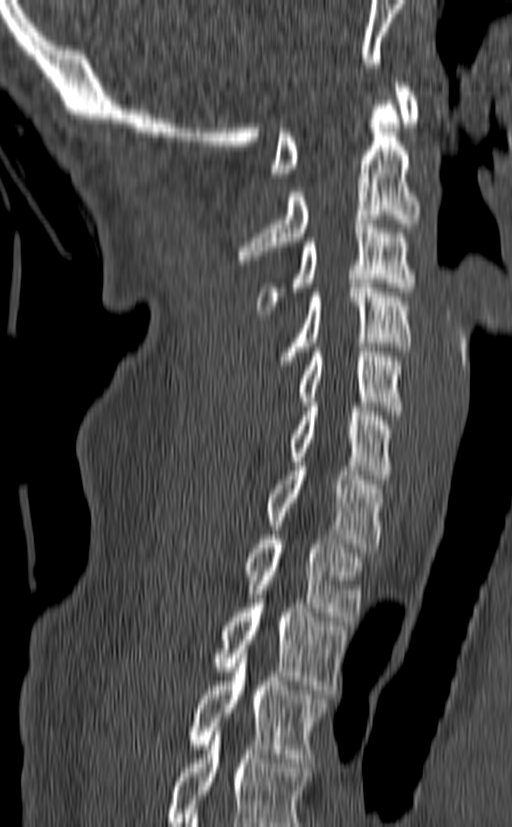

CT spine · sagittal view
Boxes: x1:y1:x2:y2 in pixels.
This scan's labels start at C1 at the top and end at T3 at the bottom.
Vertebra bounding boxes:
- C1: 271:78:419:177
- C2: 238:101:420:264
- C3: 257:219:416:314
- C4: 278:283:410:365
- C5: 298:347:403:415
- C6: 289:402:393:479
- C7: 268:462:381:552
- T1: 246:535:362:621
- T2: 213:599:348:694
- T3: 191:654:326:762